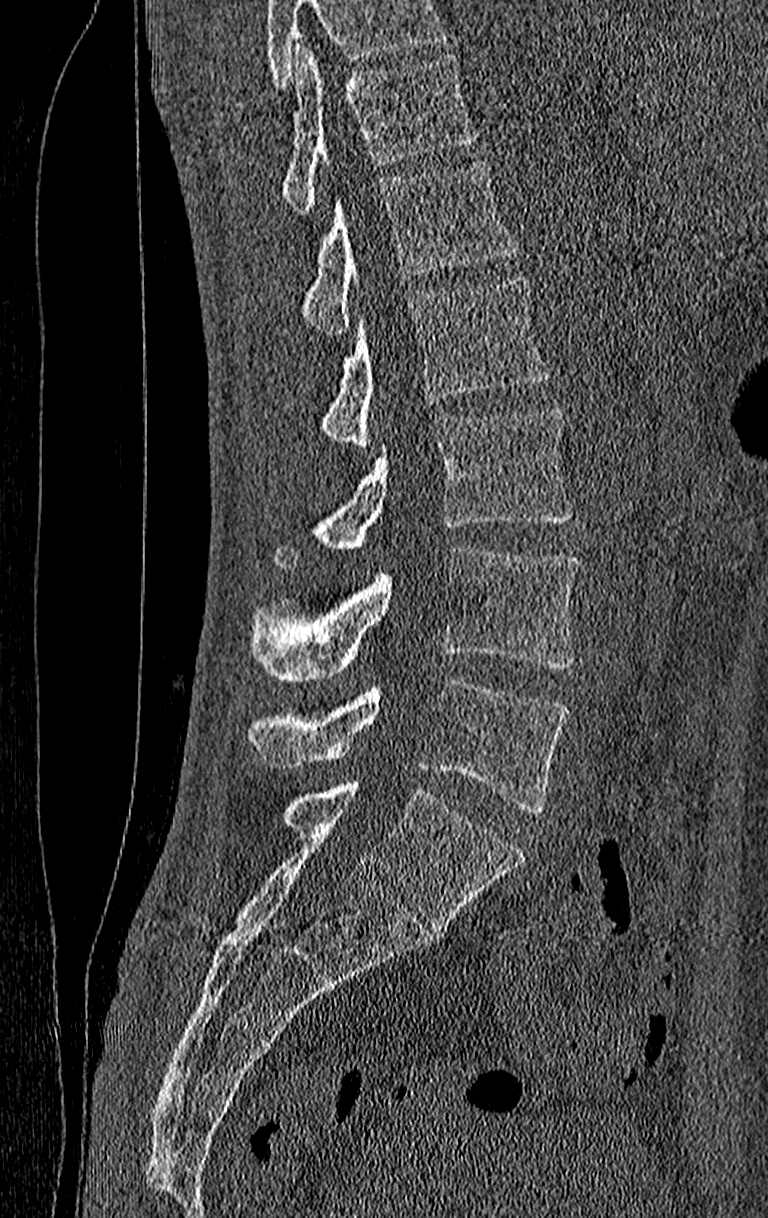

CT; sagittal view; image 210 mm wide; W/L 1800/400 HU
Box values are [left, top, right, bottom] in pixels.
No box is given to a vertebra that the top edge of the scan cuts off.
Labels in this scan begin with T11 at the top and end with L4 at the bottom.
{"vertebrae":{"T11":[284,44,477,211],"T12":[302,161,517,333],"L1":[320,275,550,450],"L2":[277,406,572,567],"L3":[251,546,579,680],"L4":[247,678,568,812]}}